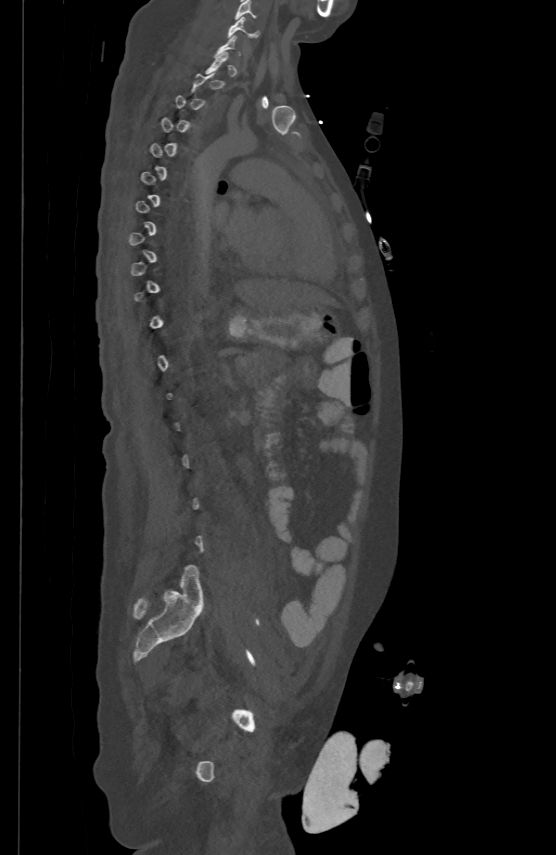

Spine CT — sagittal reformat — bone-window reconstruction — 556x855 px
Not every vertebra on this slice has a box: a vertebra is boxed only from the first to the last slice where its cross-section is at least a third of its largest, and this slice is outside that range for at least one of them.
<vertebrae><v name="C5" x1="235" y1="0" x2="256" y2="19"/><v name="C6" x1="228" y1="15" x2="258" y2="36"/></vertebrae>